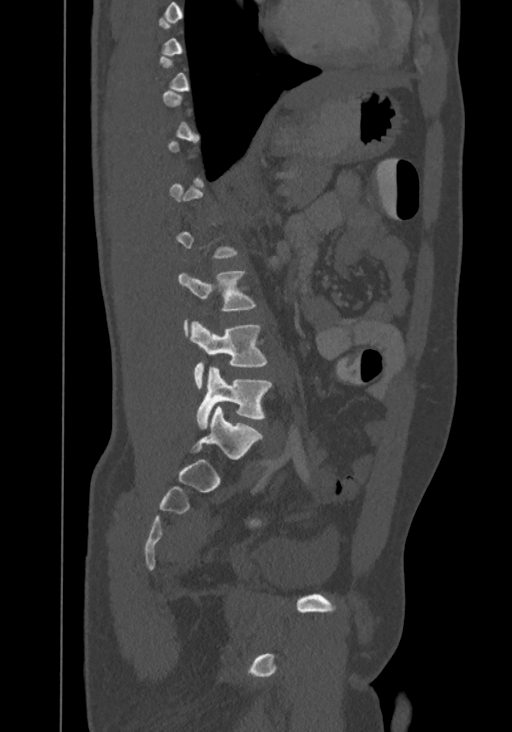 CT — sagittal view — image 367 mm wide — bone-window reconstruction
In the table, x1 and y1 are a box's top-left corner and x2 and y2 its bottom-right corner, in pixels.
Each vertebra is boxed only on the slices from the first to the last where its cross-section reaches a third of its largest, so a slice outside that range leaves it unboxed.
This scan's labels start at T8 at the top and end at L4 at the bottom.
| vertebra | x1 | y1 | x2 | y2 |
|---|---|---|---|---|
| L2 | 178 | 270 | 255 | 335 |
| L3 | 190 | 320 | 267 | 388 |
| L4 | 197 | 367 | 271 | 428 |